CT, spine. sagittal reformat. 369x669 px
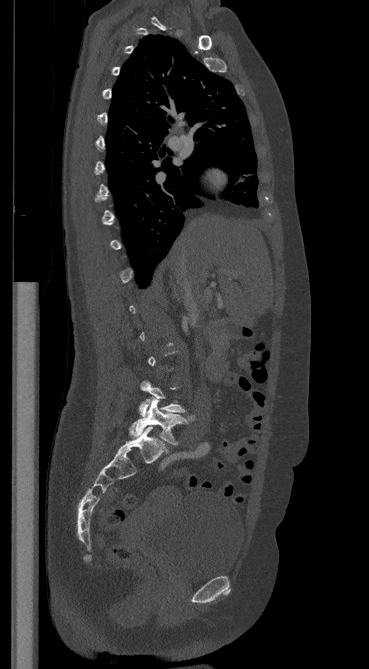

Bounding boxes as [x1, y1, x2, y2] in pixel coordinates. Each vertebra is boxed only on the slices from the first to the last where its cross-section reaches a third of its largest, so a slice outside that range leaves it unboxed. The labeled vertebrae in this slice are: L4 at [139, 380, 184, 417], L5 at [130, 398, 194, 444].